Computed tomography of the spine. sagittal view. 512x782 px. scan covers 10 annotated vertebrae
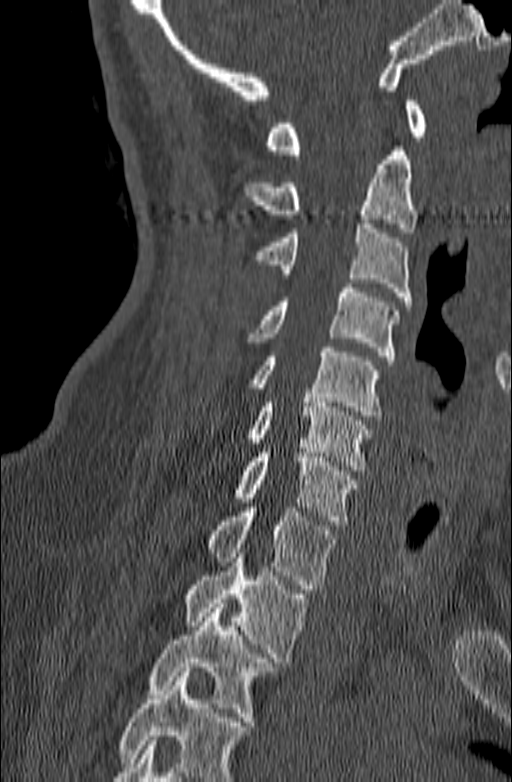
Box edges are left/top/right/bottom in pixels.
A vertebra cut off by the bottom edge of the scan is not labeled and has no box.
C1: left=265, top=96, right=427, bottom=154
C2: left=243, top=146, right=417, bottom=232
C3: left=257, top=219, right=411, bottom=305
C4: left=246, top=283, right=399, bottom=360
C5: left=249, top=347, right=381, bottom=420
C6: left=246, top=393, right=373, bottom=470
C7: left=232, top=453, right=359, bottom=525
T1: left=206, top=507, right=337, bottom=589
T2: left=184, top=558, right=308, bottom=662
T3: left=149, top=603, right=275, bottom=726